Spine computed tomography. sagittal view
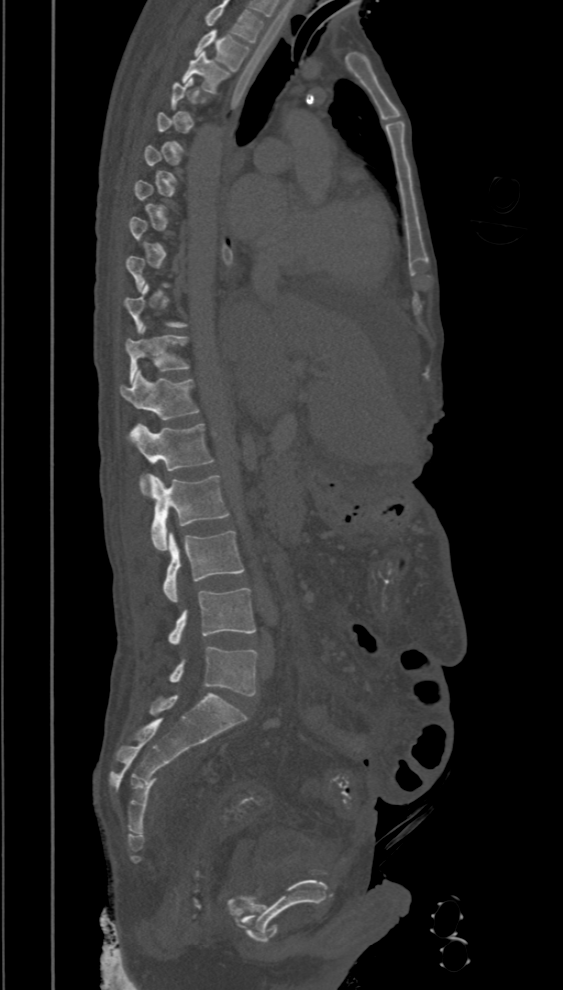
Each box is [x1, y1, x2, y2] in pixels: top-left corner, then bottom-right corner.
A vertebra is boxed only from the first to the last slice where its cross-section is at least a third of its largest; slices outside that range leave it without a box.
Labels in this scan begin with T2 at the top and end with L5 at the bottom.
{"vertebrae":{"T2":[195,29,249,70],"T3":[181,52,230,94],"T10":[124,285,187,334],"T11":[124,325,190,382],"T12":[120,370,199,420],"L1":[130,423,214,493],"L2":[146,473,229,551],"L3":[163,530,244,602],"L4":[167,587,256,644],"L5":[168,647,257,696]}}